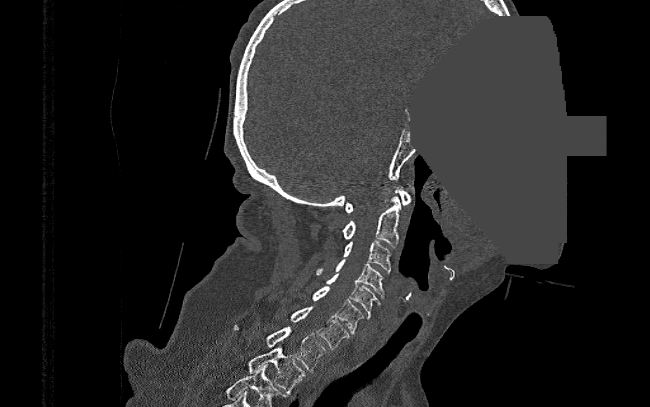
CT, spine; sagittal view; W/L 1800/400 HU; part of the image is a flat gray fill, not anatomy

Coordinates as <box>x1,y1,x2,y2</box>. Vertebrae labeled: C1 at <box>345,188,410,213</box>, C2 at <box>343,190,401,248</box>, C3 at <box>343,241,391,273</box>, C4 at <box>316,259,384,298</box>, C5 at <box>325,273,380,319</box>, C6 at <box>314,286,362,334</box>, C7 at <box>292,306,349,349</box>, T1 at <box>231,325,327,371</box>, T2 at <box>248,347,305,394</box>.